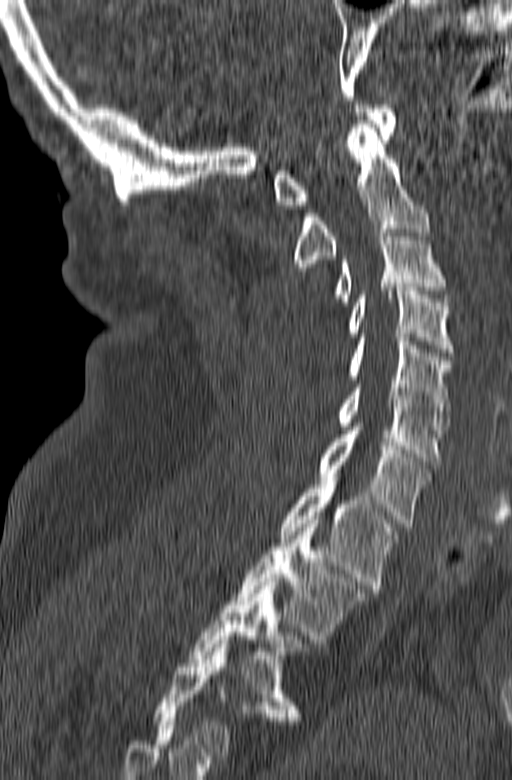 Spine CT — 165 mm across the image — sagittal view
In this scan, the topmost labeled vertebra is C1 and the lowest is T3.
<vertebrae><v name="T3" x1="189" y1="578" x2="320" y2="720"/><v name="T2" x1="237" y1="520" x2="366" y2="643"/><v name="T1" x1="280" y1="477" x2="399" y2="592"/><v name="C7" x1="318" y1="423" x2="430" y2="527"/><v name="C6" x1="336" y1="384" x2="449" y2="464"/><v name="C5" x1="349" y1="337" x2="450" y2="418"/><v name="C4" x1="345" y1="287" x2="453" y2="352"/><v name="C3" x1="333" y1="229" x2="447" y2="305"/><v name="C2" x1="293" y1="124" x2="430" y2="274"/><v name="C1" x1="274" y1="105" x2="396" y2="208"/></vertebrae>